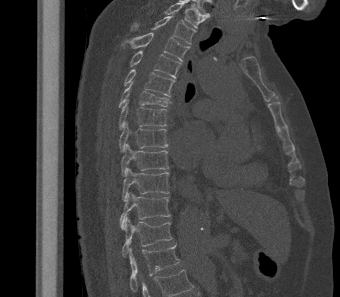
CT · sagittal view · bone-window reconstruction · 340x297 px
In the table, x1 and y1 are a box's top-left corner and x2 and y2 its bottom-right corner, in pixels.
The highest labeled vertebra in this scan is T2; the lowest is L1.
| vertebra | x1 | y1 | x2 | y2 |
|---|---|---|---|---|
| T2 | 131 | 16 | 196 | 44 |
| T3 | 121 | 33 | 189 | 61 |
| T4 | 130 | 51 | 181 | 78 |
| T5 | 124 | 69 | 175 | 96 |
| T6 | 118 | 82 | 171 | 107 |
| T7 | 119 | 99 | 167 | 129 |
| T8 | 119 | 121 | 168 | 152 |
| T9 | 121 | 143 | 169 | 175 |
| T10 | 122 | 167 | 169 | 200 |
| T11 | 119 | 192 | 171 | 228 |
| T12 | 121 | 217 | 173 | 256 |
| L1 | 128 | 245 | 179 | 295 |